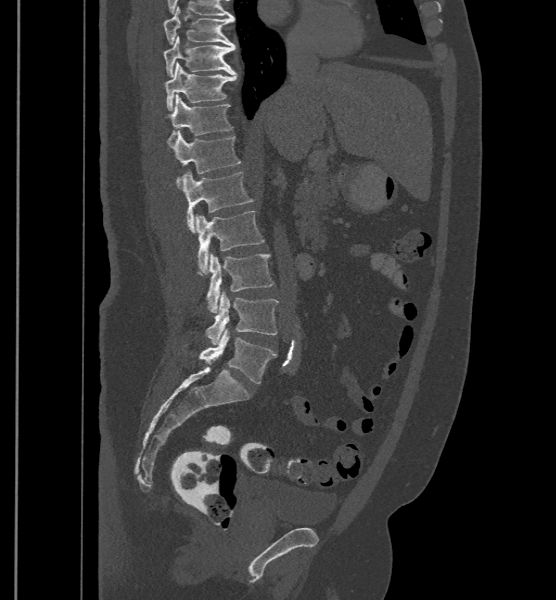

CT — sagittal view
These labels give the spine a sixth lumbar vertebra, L6, below L5.
<vertebrae><v name="T9" x1="164" y1="6" x2="234" y2="47"/><v name="T10" x1="164" y1="36" x2="236" y2="76"/><v name="T11" x1="166" y1="62" x2="237" y2="110"/><v name="T12" x1="164" y1="94" x2="232" y2="147"/><v name="L1" x1="174" y1="133" x2="241" y2="189"/><v name="L2" x1="183" y1="171" x2="253" y2="232"/><v name="L3" x1="196" y1="210" x2="265" y2="275"/><v name="L4" x1="205" y1="253" x2="274" y2="312"/><v name="L5" x1="205" y1="292" x2="278" y2="345"/><v name="L6" x1="182" y1="329" x2="277" y2="383"/></vertebrae>